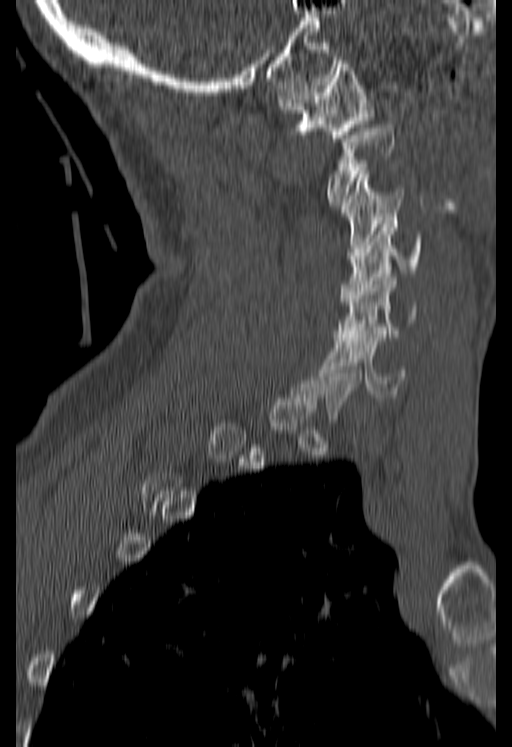
CT; sagittal view; Bone window (WL 400, WW 1800)
Each box given as x1,y1,x2,y2.
Each vertebra is boxed only on the slices from the first to the last where its cross-section reaches a third of its largest, so a slice outside that range leaves it unboxed.
Vertebra bounding boxes:
- C1: x1=278, y1=60, x2=373, y2=141
- C2: x1=328, y1=128, x2=392, y2=205
- C3: x1=342, y1=171, x2=404, y2=259
- C4: x1=339, y1=220, x2=421, y2=301
- C5: x1=334, y1=274, x2=418, y2=340
- C6: x1=322, y1=331, x2=405, y2=397